CT · Sagittal slice 249/512 · scan covers 17 annotated vertebrae
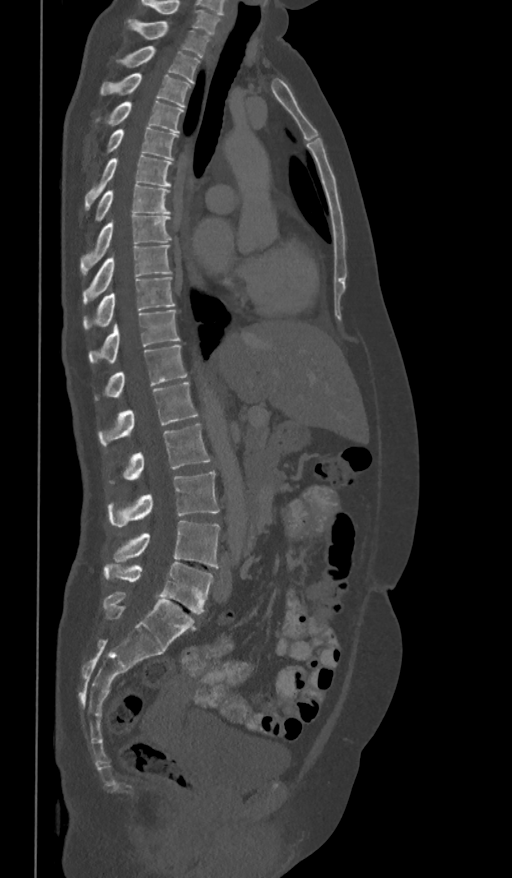 Coordinates as <box>x1,y1,x2,y2</box>.
In this scan, the topmost labeled vertebra is T1 and the lowest is L5.
T1: <box>127,19,210,58</box>
T2: <box>115,46,200,83</box>
T3: <box>100,73,192,107</box>
T4: <box>93,101,183,133</box>
T5: <box>105,128,177,160</box>
T6: <box>85,154,172,210</box>
T7: <box>93,185,170,224</box>
T8: <box>81,214,173,275</box>
T9: <box>83,244,172,303</box>
T10: <box>83,277,175,328</box>
T11: <box>89,310,180,363</box>
T12: <box>105,345,187,399</box>
L1: <box>99,382,199,444</box>
L2: <box>123,423,210,480</box>
L3: <box>108,471,219,527</box>
L4: <box>113,521,220,568</box>
L5: <box>103,562,213,613</box>